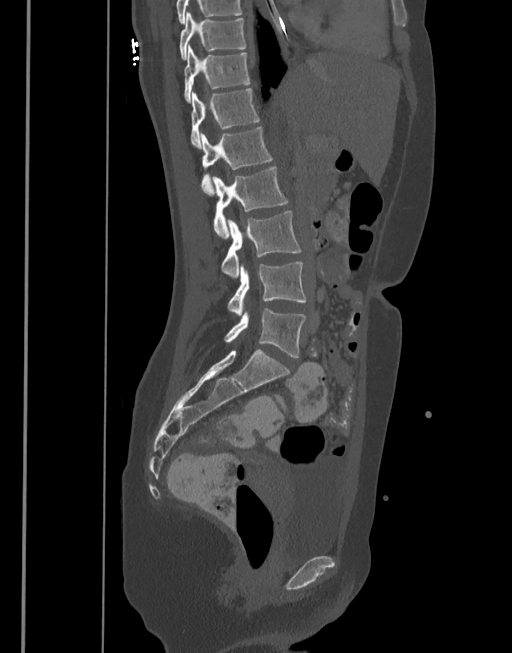

Computed tomography of the spine — sagittal view
<vertebrae><v name="T10" x1="179" y1="13" x2="246" y2="60"/><v name="T11" x1="183" y1="44" x2="250" y2="102"/><v name="T12" x1="190" y1="88" x2="260" y2="148"/><v name="L1" x1="200" y1="126" x2="273" y2="196"/><v name="L2" x1="211" y1="166" x2="288" y2="237"/><v name="L3" x1="221" y1="210" x2="302" y2="278"/><v name="L4" x1="227" y1="262" x2="306" y2="314"/><v name="L5" x1="224" y1="308" x2="306" y2="357"/></vertebrae>